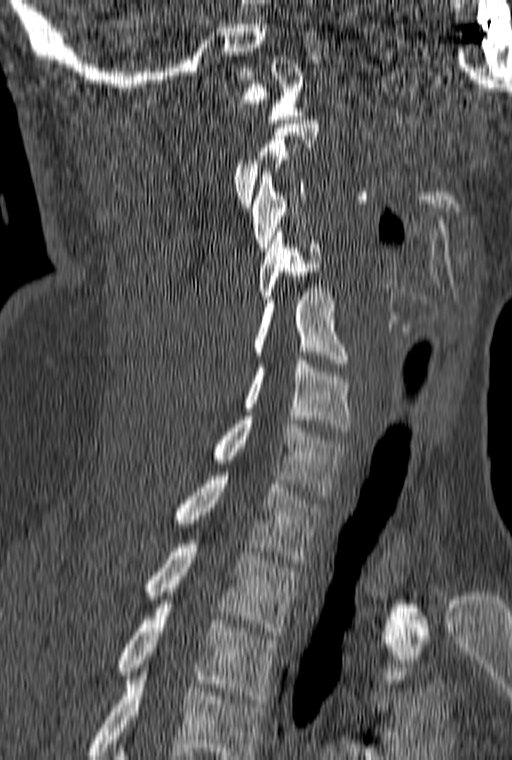 Spine computed tomography — sagittal view — Bone window (WL 400, WW 1800)

Coordinates as <box>x1,y1,x2,y2</box>. Not every vertebra on this slice has a box: a vertebra is boxed only from the first to the last slice where its cross-section is at least a third of its largest, and this slice is outside that range for at least one of them. Labels in this scan begin with C1 at the top and end with T3 at the bottom. Vertebrae labeled: C1 at <box>237,56,304,123</box>, C3 at <box>252,172,306,251</box>, C4 at <box>259,228,320,303</box>, C5 at <box>254,288,349,367</box>, C6 at <box>242,356,352,431</box>, C7 at <box>212,416,346,495</box>, T1 at <box>174,472,326,563</box>, T2 at <box>145,540,298,635</box>, T3 at <box>116,604,279,703</box>.